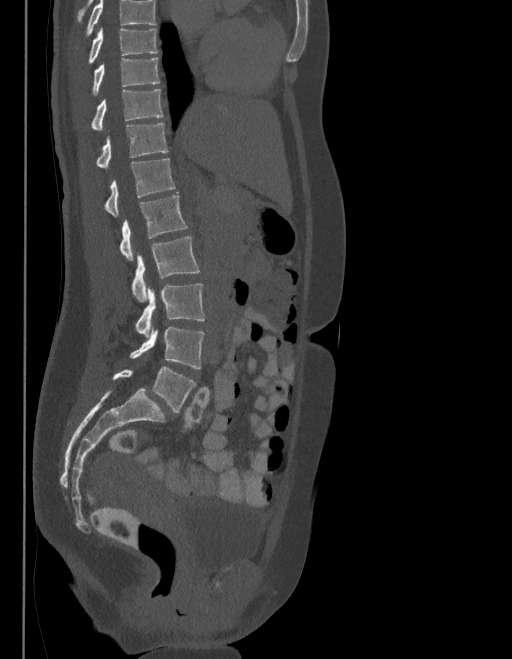
Computed tomography of the spine · the image is 403 mm wide · sagittal view · bone-window reconstruction. Coordinates as <box>x1,y1,x2,y2</box>.
Vertebrae that run past the top of the scan are left unlabeled.
The labels name a sixth lumbar vertebra for this spine: L6, after L5.
T9: <box>89,27,158,62</box>
T10: <box>93,58,159,95</box>
T11: <box>91,89,163,130</box>
T12: <box>96,122,168,169</box>
L1: <box>105,158,174,217</box>
L2: <box>119,193,187,260</box>
L3: <box>132,237,200,302</box>
L4: <box>136,284,203,336</box>
L5: <box>129,326,203,368</box>
L6: <box>113,367,196,413</box>